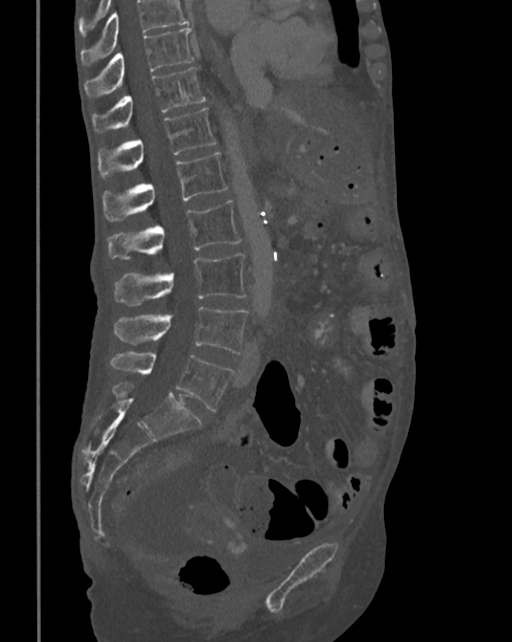 Computed tomography of the spine · sagittal view. Bounding boxes as [x1, y1, x2, y2] in pixel coordinates.
A vertebra cut off by the top edge of the scan is not labeled and has no box.
Vertebra bounding boxes:
- T10: [84, 26, 193, 96]
- T11: [93, 66, 205, 133]
- T12: [99, 108, 216, 177]
- L1: [103, 152, 228, 221]
- L2: [108, 201, 241, 259]
- L3: [114, 254, 246, 305]
- L4: [114, 307, 248, 354]
- L5: [111, 351, 232, 411]